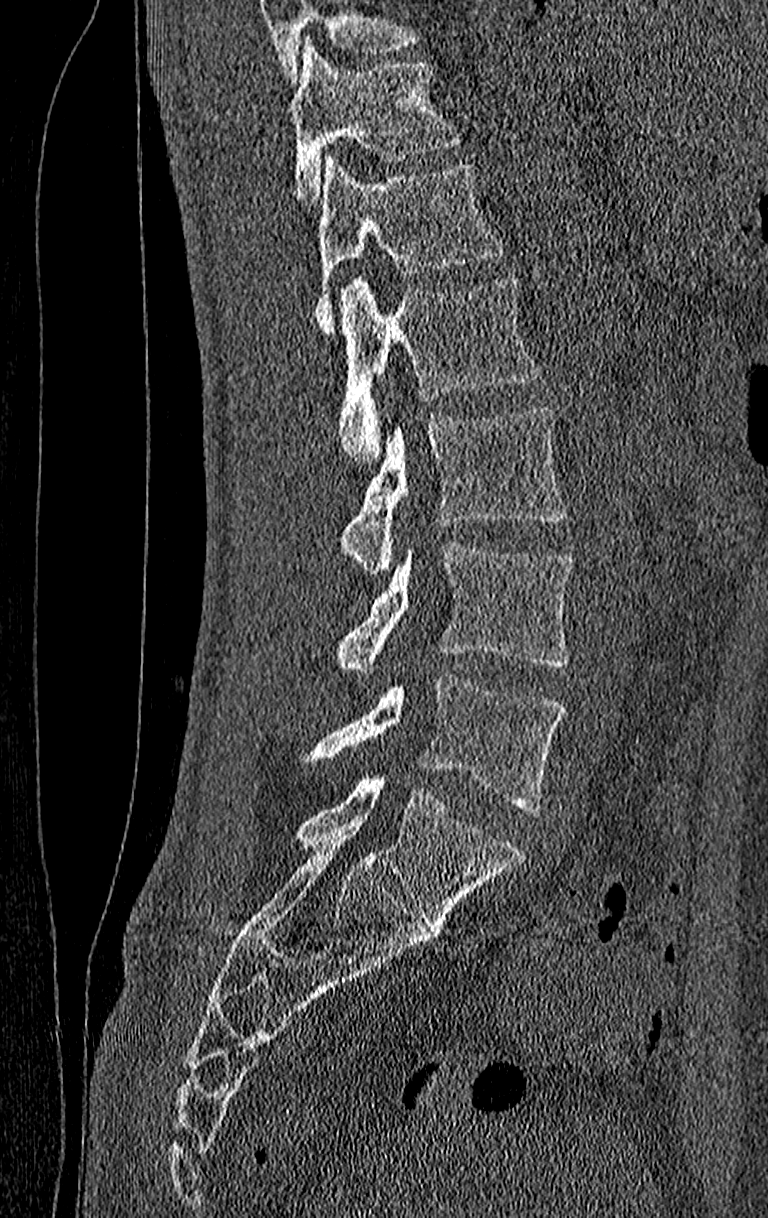
CT spine — sagittal reformat — bone window. Coordinates as <box>x1,y1,x2,y2</box>.
Vertebrae that run past the top of the scan are left unlabeled.
In this scan, the topmost labeled vertebra is T11 and the lowest is L4.
Vertebra bounding boxes:
- T11: <box>291,41,462,205</box>
- T12: <box>315,155,506,331</box>
- L1: <box>339,275,543,465</box>
- L2: <box>342,406,565,573</box>
- L3: <box>335,541,575,672</box>
- L4: <box>306,673,565,812</box>